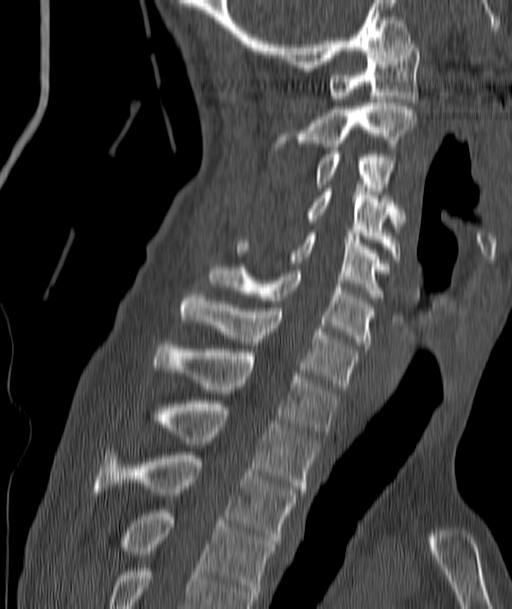
Spine CT. sagittal view
Each box given as x1,y1,x2,y2.
Vertebra bounding boxes:
- T4: x1=124, y1=510, x2=274, y2=601
- T3: x1=94, y1=452, x2=296, y2=543
- T2: x1=160, y1=400, x2=317, y2=492
- T1: x1=154, y1=342, x2=337, y2=434
- C7: x1=179, y1=291, x2=356, y2=389
- C6: x1=212, y1=267, x2=372, y2=348
- C5: x1=236, y1=233, x2=383, y2=300
- C4: x1=305, y1=188, x2=402, y2=259
- C3: x1=313, y1=151, x2=394, y2=191
- C2: x1=272, y1=103, x2=416, y2=150
- C1: x1=327, y1=41, x2=419, y2=105